Computed tomography of the spine; sagittal reformat; scan covers 16 annotated vertebrae
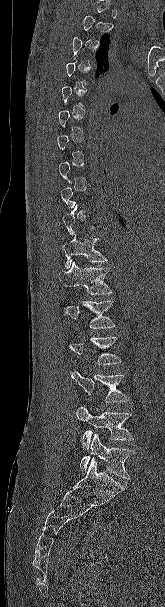 Each row gives a vertebra's box as x1, y1, x2, y2 in pixels: top-left corner, then bottom-right corner.
A vertebra is boxed only from the first to the last slice where its cross-section is at least a third of its largest; slices outside that range leave it without a box.
| vertebra | x1 | y1 | x2 | y2 |
|---|---|---|---|---|
| T11 | 61 | 234 | 107 | 269 |
| T12 | 59 | 261 | 112 | 294 |
| L1 | 63 | 300 | 115 | 328 |
| L3 | 71 | 371 | 130 | 402 |
| L4 | 76 | 406 | 134 | 449 |
| L5 | 79 | 433 | 133 | 479 |